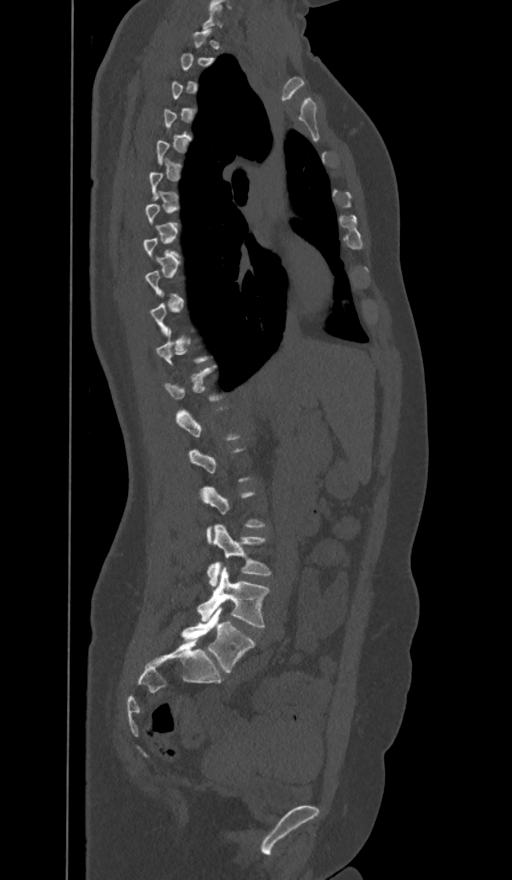
Spine CT · sagittal view · image width 374 mm. Box edges are left/top/right/bottom in pixels. Each vertebra is boxed only on the slices from the first to the last where its cross-section reaches a third of its largest, so a slice outside that range leaves it unboxed. In these labels the spine has an L6, a sixth lumbar vertebra below L5. Vertebrae labeled: L4 at left=207, top=524, right=271, bottom=585, L5 at left=197, top=568, right=269, bottom=627, L6 at left=181, top=606, right=255, bottom=672.